CT. sagittal reformat. Bone window (WL 400, WW 1800). 512x694 px. 12 vertebrae labeled in this scan
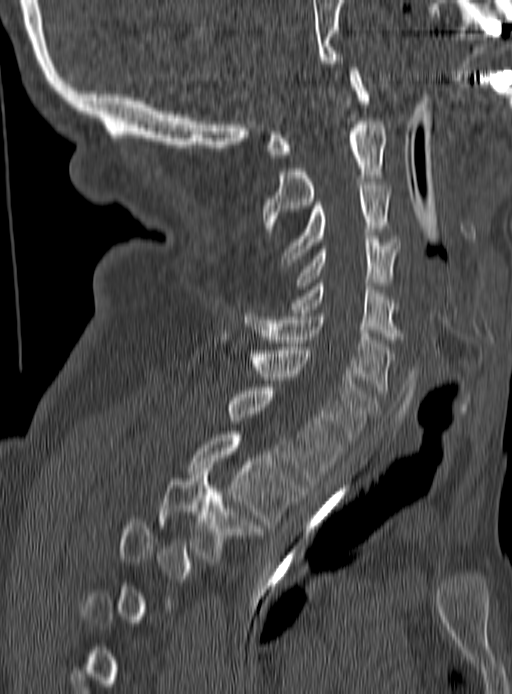
Boxes: x1 y1 x2 y2 (pixel coords, space-separated).
A vertebra gets a box only on the slices from the first to the last where its cross-section is at least a third of its largest; on a slice outside that range it gets none.
T3: 160 468 261 558
T2: 189 431 304 524
T1: 230 387 342 484
C7: 251 350 377 444
C6: 243 313 394 393
C5: 292 283 399 339
C4: 297 236 399 289
C3: 280 182 391 265
C2: 262 121 385 228
C1: 264 67 369 157